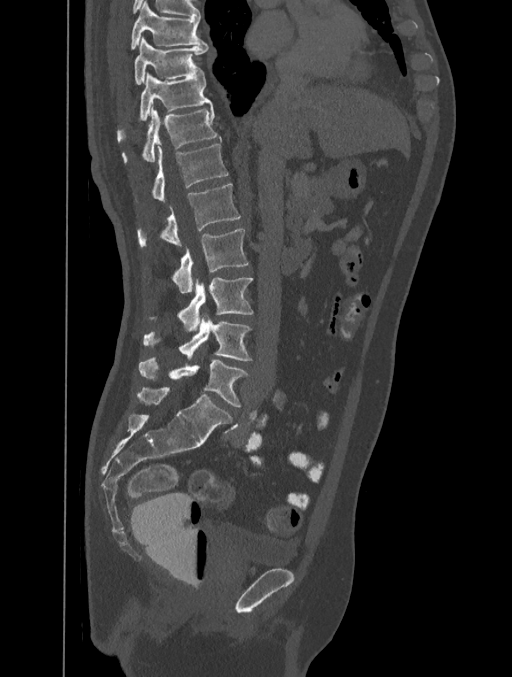

Computed tomography of the spine · sagittal view · 512x677 px · 401 mm image width

Each vertebra maps to its box as [x1, y1, x2, y2], the pixel coordinates of its top-left and bottom-right corners.
{"vertebrae":{"T8":[131,1,208,48],"T9":[134,37,207,83],"T10":[117,72,212,140],"T11":[122,106,221,162],"T12":[152,144,227,201],"L1":[138,183,240,247],"L2":[172,229,248,293],"L3":[151,277,253,331],"L4":[143,313,252,361],"L5":[139,357,248,407]}}